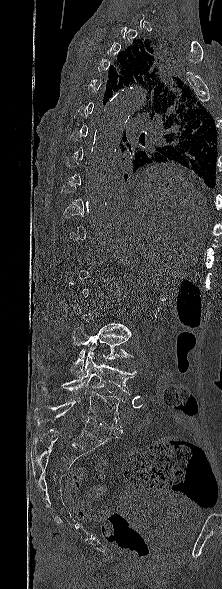

Spine CT — sagittal view — W/L 1800/400 HU. Box edges are left/top/right/bottom in pixels.
Not every vertebra on this slice has a box: a vertebra is boxed only from the first to the last slice where its cross-section is at least a third of its largest, and this slice is outside that range for at least one of them.
Vertebra bounding boxes:
- L5: left=35, top=391, right=123, bottom=434
- L4: left=36, top=351, right=136, bottom=395
- L3: left=71, top=327, right=133, bottom=377